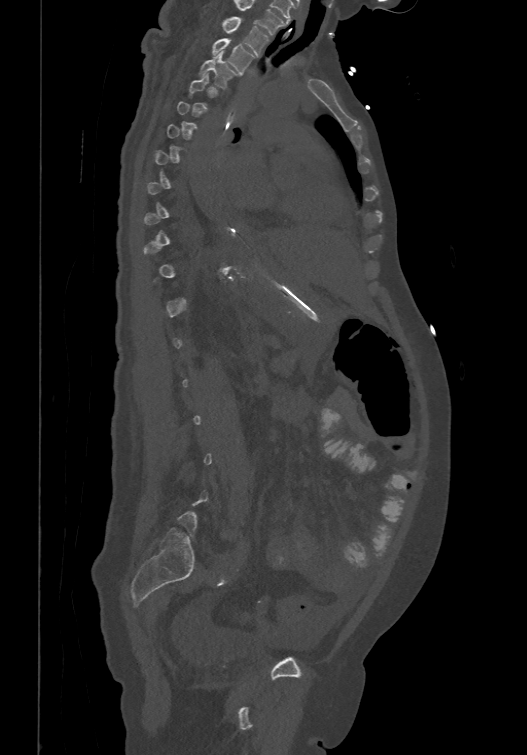

CT, spine · 474 mm wide · sagittal view
Boxes: x1 y1 x2 y2 (pixel coords, space-separated). Not every vertebra on this slice has a box: a vertebra is boxed only from the first to the last slice where its cross-section is at least a third of its largest, and this slice is outside that range for at least one of them. Labels in this scan begin with T1 at the top and end with L6 at the bottom. 3 vertebrae labeled — T1 at 222 16 267 54; T2 at 212 37 255 74; T3 at 199 51 236 87.